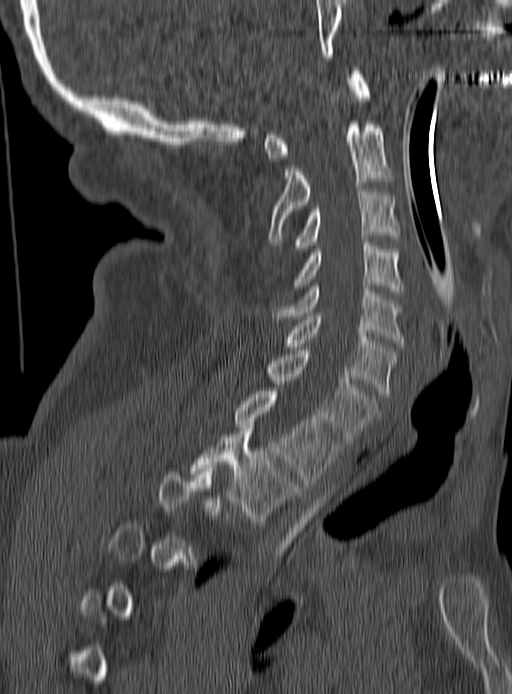

Spine computed tomography. sagittal view. 512x694 px. Boxes: x1 y1 x2 y2 (pixel coords, space-separated). A vertebra gets a box only on the slices from the first to the last where its cross-section is at least a third of its largest; on a slice outside that range it gets none. The labeled vertebrae in this slice are: C1 at 264 71 369 161, C2 at 268 121 391 242, C3 at 295 189 399 252, C4 at 295 243 401 292, C5 at 272 283 404 343, C6 at 284 313 396 396, C7 at 268 350 377 444, T1 at 235 391 339 484, T2 at 189 424 299 524.